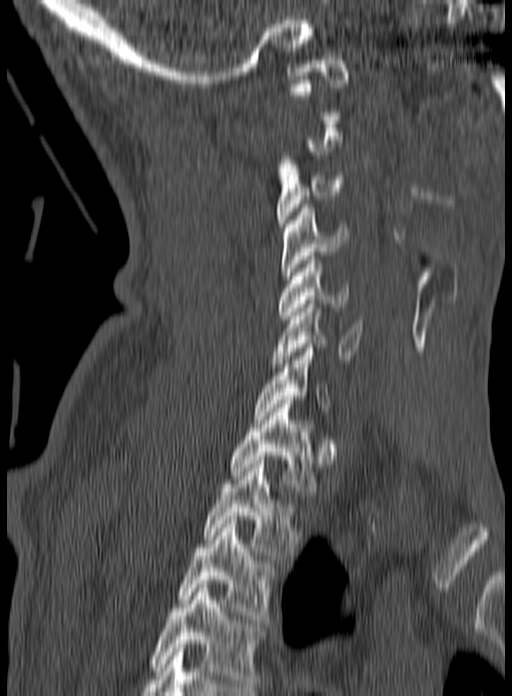 Spine CT · sagittal reformat
A vertebra gets a box only on the slices from the first to the last where its cross-section is at least a third of its largest; on a slice outside that range it gets none.
In this scan, the topmost labeled vertebra is C1 and the lowest is T3.
<vertebrae><v name="C3" x1="276" y1="156" x2="345" y2="231"/><v name="C4" x1="280" y1="204" x2="349" y2="279"/><v name="C5" x1="278" y1="256" x2="349" y2="319"/><v name="C6" x1="271" y1="300" x2="364" y2="367"/><v name="C7" x1="254" y1="344" x2="331" y2="419"/><v name="T1" x1="232" y1="400" x2="316" y2="495"/><v name="T2" x1="203" y1="460" x2="306" y2="559"/><v name="T3" x1="177" y1="516" x2="269" y2="623"/></vertebrae>